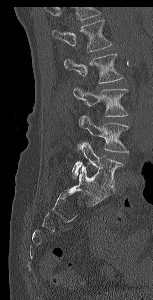 Computed tomography of the spine — sagittal view — 153 mm wide — bone window
Bounding boxes as [x1, y1, x2, y2] in pixel coordinates.
No box is given to a vertebra that the top edge of the scan cuts off.
L1: [52, 20, 112, 51]
L2: [64, 53, 123, 83]
L3: [73, 87, 128, 116]
L4: [77, 115, 129, 153]
L5: [72, 142, 124, 188]